CT, spine · sagittal plane, index 332 · image 149 mm wide
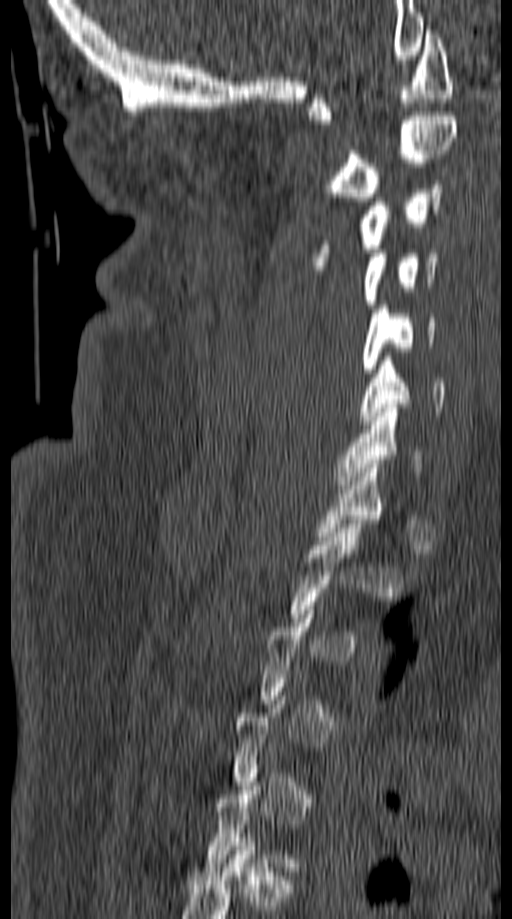
Each row gives a vertebra's box as x1, y1, x2, y2 in pixels: top-left corner, then bottom-right corner.
A vertebra is boxed only from the first to the last slice where its cross-section is at least a third of its largest; slices outside that range leave it without a box.
| vertebra | x1 | y1 | x2 | y2 |
|---|---|---|---|---|
| C1 | 307 | 26 | 453 | 124 |
| C2 | 323 | 116 | 457 | 201 |
| C3 | 311 | 180 | 443 | 270 |
| C4 | 363 | 253 | 440 | 308 |
| C5 | 362 | 305 | 436 | 373 |
| C6 | 359 | 357 | 445 | 424 |
| C7 | 334 | 404 | 423 | 489 |